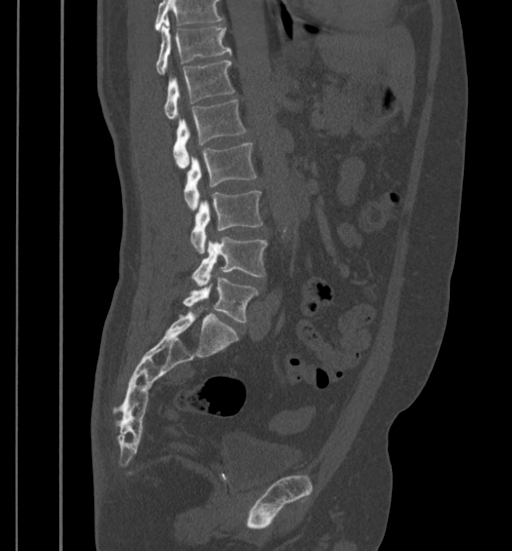
CT, spine — sagittal view — the image is 399 mm wide. Columns x1, y1, x2, y2 give each box's top-left and bottom-right pixels.
A vertebra cut off by the top edge of the scan is not labeled and has no box.
| vertebra | x1 | y1 | x2 | y2 |
|---|---|---|---|---|
| L5 | 182 | 275 | 258 | 322 |
| L4 | 191 | 237 | 267 | 284 |
| L3 | 190 | 190 | 262 | 253 |
| L2 | 183 | 142 | 257 | 209 |
| L1 | 172 | 99 | 247 | 168 |
| T12 | 163 | 60 | 235 | 119 |
| T11 | 155 | 18 | 231 | 73 |